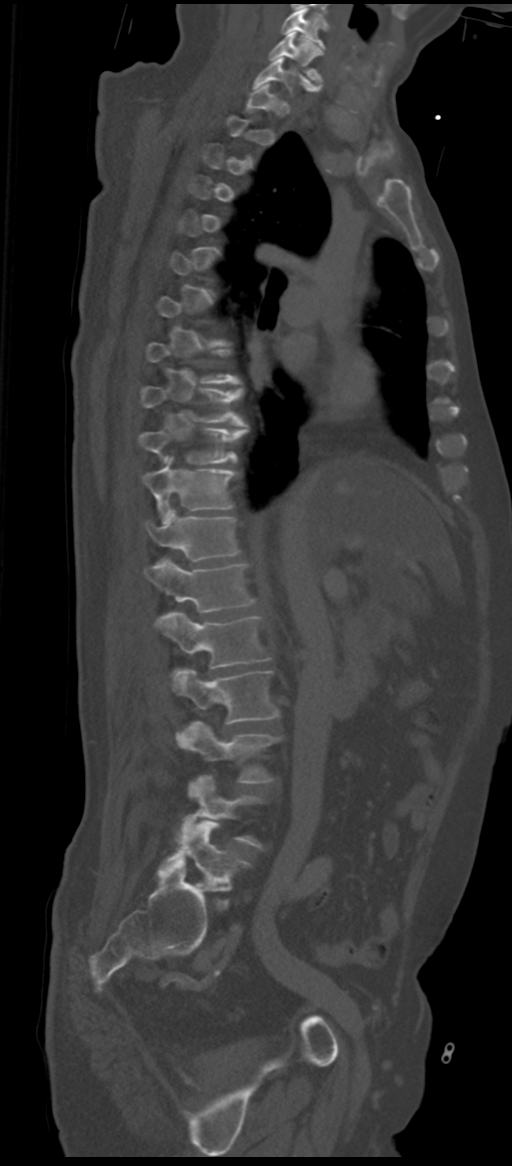
Spine computed tomography · sagittal view · bone-window reconstruction · 311 mm wide
Each row gives a vertebra's box as x1, y1, x2, y2 in pixels: top-left corner, then bottom-right corner.
A vertebra gets a box only on the slices from the first to the last where its cross-section is at least a third of its largest; on a slice outside that range it gets none.
These labels give the spine a sixth lumbar vertebra, L6, below L5.
| vertebra | x1 | y1 | x2 | y2 |
|---|---|---|---|---|
| L6 | 158 | 821 | 248 | 886 |
| L4 | 176 | 722 | 279 | 783 |
| L3 | 173 | 669 | 279 | 724 |
| L2 | 155 | 611 | 269 | 668 |
| L1 | 145 | 559 | 255 | 612 |
| T12 | 145 | 508 | 240 | 561 |
| T11 | 142 | 457 | 236 | 521 |
| T10 | 139 | 429 | 248 | 464 |
| T9 | 140 | 386 | 246 | 426 |
| C7 | 254 | 58 | 317 | 92 |
| C6 | 269 | 32 | 322 | 85 |
| C5 | 282 | 9 | 327 | 49 |